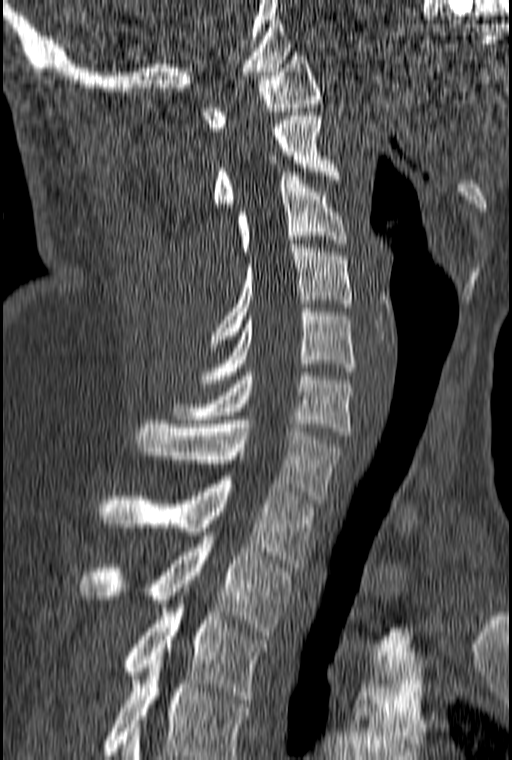
Spine computed tomography. sagittal view. Bone window (WL 400, WW 1800). 160 mm wide. 512x760 px
Each row gives a vertebra's box as x1, y1, x2, y2 in pixels: top-left corner, then bottom-right corner.
This scan's labels start at C1 at the top and end at T3 at the bottom.
| vertebra | x1 | y1 | x2 | y2 |
|---|---|---|---|---|
| C1 | 201 | 52 | 322 | 135 |
| C2 | 212 | 112 | 340 | 207 |
| C3 | 237 | 172 | 347 | 255 |
| C4 | 209 | 244 | 352 | 347 |
| C5 | 201 | 308 | 355 | 383 |
| C6 | 172 | 372 | 352 | 435 |
| C7 | 135 | 420 | 343 | 503 |
| T1 | 97 | 476 | 314 | 567 |
| T2 | 78 | 536 | 291 | 635 |
| T3 | 123 | 588 | 266 | 703 |